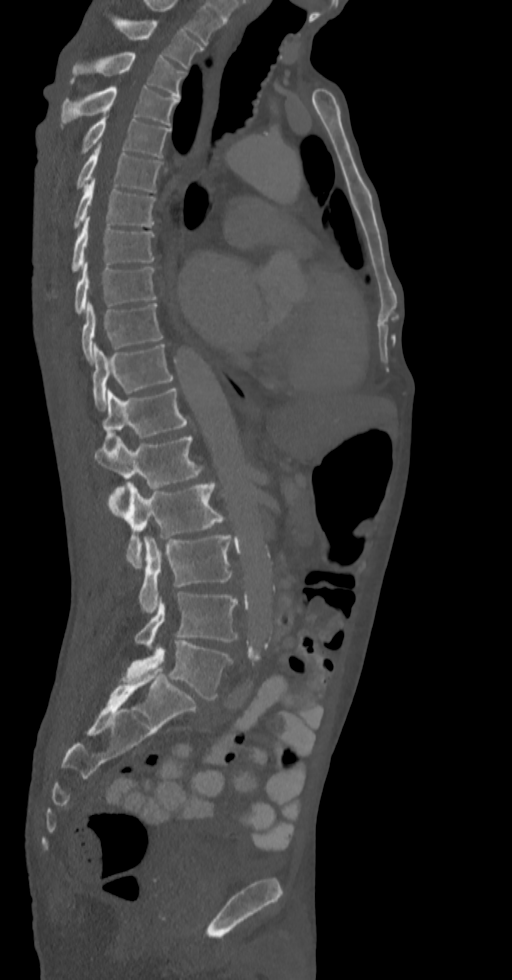 CT. sagittal view. Bone window (WL 400, WW 1800)

Box edges are left/top/right/bottom in pixels.
In this scan, the topmost labeled vertebra is T2 and the lowest is L5.
T2: left=114, top=18, right=203, bottom=69
T3: left=70, top=52, right=185, bottom=98
T4: left=61, top=87, right=179, bottom=127
T5: left=80, top=113, right=169, bottom=157
T6: left=76, top=145, right=162, bottom=191
T7: left=73, top=180, right=156, bottom=229
T8: left=71, top=218, right=154, bottom=272
T9: left=74, top=262, right=156, bottom=313
T10: left=82, top=302, right=163, bottom=363
T11: left=93, top=344, right=174, bottom=410
T12: left=103, top=387, right=188, bottom=452
L1: left=94, top=436, right=203, bottom=505
L2: left=109, top=482, right=232, bottom=567
L3: left=138, top=535, right=232, bottom=613
L4: left=135, top=591, right=238, bottom=647
L5: left=121, top=640, right=232, bottom=700